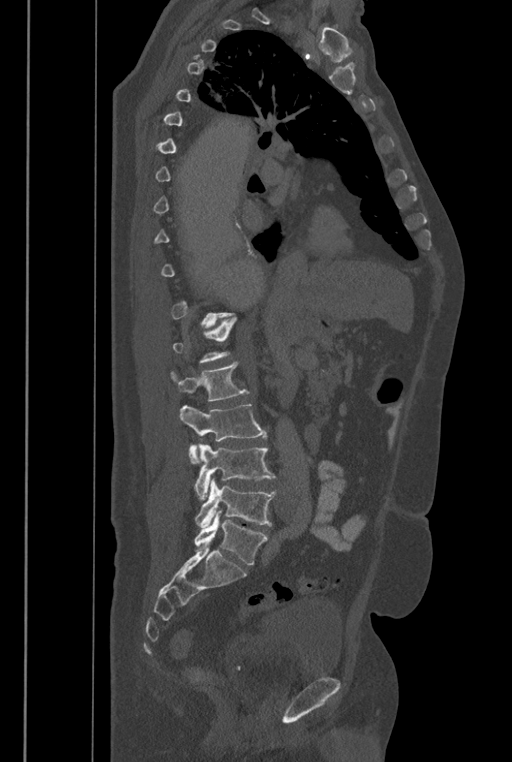 Spine CT — image width 446 mm — sagittal reformat
Boxes: x1:y1:x2:y2 in pixels. Not every vertebra on this slice has a box: a vertebra is boxed only from the first to the last slice where its cross-section is at least a third of its largest, and this slice is outside that range for at least one of them. These labels give the spine a sixth lumbar vertebra, L6, below L5. 5 vertebrae labeled — L2 at 170:362:248:401; L3 at 179:404:266:463; L4 at 194:443:274:500; L5 at 194:478:276:527; L6 at 194:510:268:564.